Computed tomography of the spine; sagittal reformat; 512x878 px
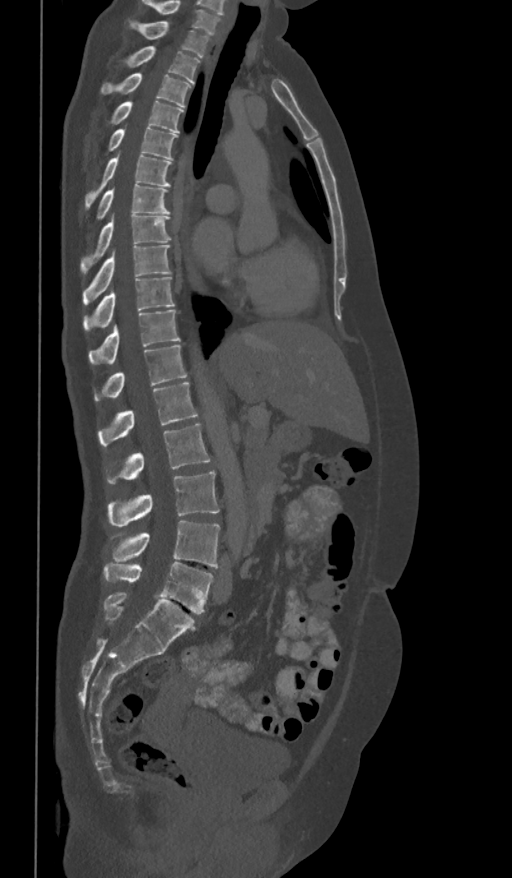
Box edges are left/top/right/bottom in pixels.
Labels in this scan begin with T1 at the top and end with L5 at the bottom.
| vertebra | x1 | y1 | x2 | y2 |
|---|---|---|---|---|
| T1 | 130 | 20 | 210 | 58 |
| T2 | 122 | 46 | 200 | 83 |
| T3 | 100 | 73 | 192 | 107 |
| T4 | 108 | 101 | 183 | 133 |
| T5 | 106 | 126 | 177 | 159 |
| T6 | 85 | 154 | 170 | 210 |
| T7 | 96 | 185 | 170 | 221 |
| T8 | 81 | 214 | 172 | 273 |
| T9 | 82 | 244 | 172 | 304 |
| T10 | 83 | 277 | 175 | 330 |
| T11 | 88 | 310 | 180 | 364 |
| T12 | 95 | 345 | 186 | 401 |
| L1 | 98 | 382 | 197 | 446 |
| L2 | 108 | 423 | 210 | 483 |
| L3 | 108 | 471 | 219 | 527 |
| L4 | 113 | 521 | 220 | 567 |
| L5 | 103 | 562 | 213 | 613 |